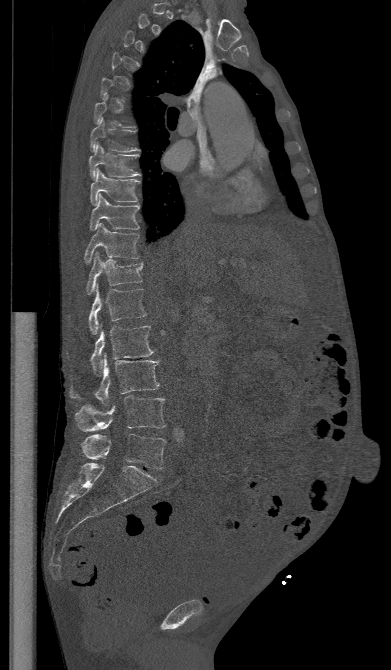 Spine computed tomography. sagittal view. bone window. 391x670 px
Each box given as x1,y1,x2,y2.
Not every vertebra on this slice has a box: a vertebra is boxed only from the first to the last slice where its cross-section is at least a third of its largest, and this slice is outside that range for at least one of them.
L5: x1=81, y1=433, x2=166, y2=469
L4: x1=75, y1=396, x2=165, y2=431
L3: x1=70, y1=354, x2=159, y2=406
L2: x1=90, y1=325, x2=154, y2=374
L1: x1=88, y1=285, x2=146, y2=335
T12: x1=86, y1=251, x2=142, y2=295
T11: x1=84, y1=223, x2=139, y2=263
T10: x1=90, y1=194, x2=140, y2=230
T9: x1=90, y1=169, x2=139, y2=205
T8: x1=89, y1=144, x2=139, y2=178
T7: x1=90, y1=118, x2=139, y2=152